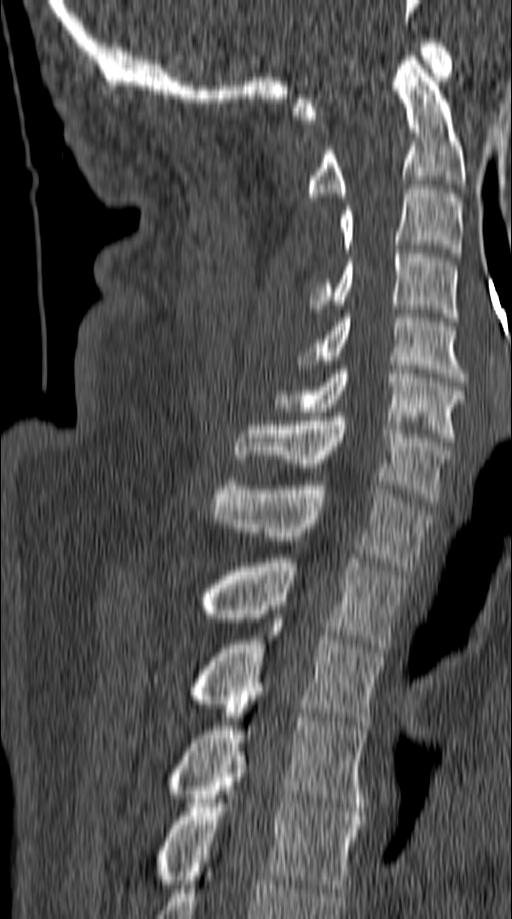 CT — sagittal view — bone-window reconstruction

Each box given as x1,y1,x2,y2.
| vertebra | x1 | y1 | x2 | y2 |
|---|---|---|---|---|
| T5 | 152 | 752 | 363 | 892 |
| T4 | 163 | 700 | 367 | 811 |
| T3 | 187 | 619 | 382 | 725 |
| T2 | 197 | 558 | 406 | 652 |
| T1 | 211 | 481 | 430 | 570 |
| C7 | 235 | 412 | 450 | 502 |
| C6 | 275 | 365 | 464 | 441 |
| C5 | 298 | 314 | 467 | 381 |
| C4 | 310 | 249 | 457 | 321 |
| C3 | 338 | 185 | 461 | 257 |
| C2 | 304 | 56 | 464 | 201 |
| C1 | 293 | 39 | 452 | 119 |